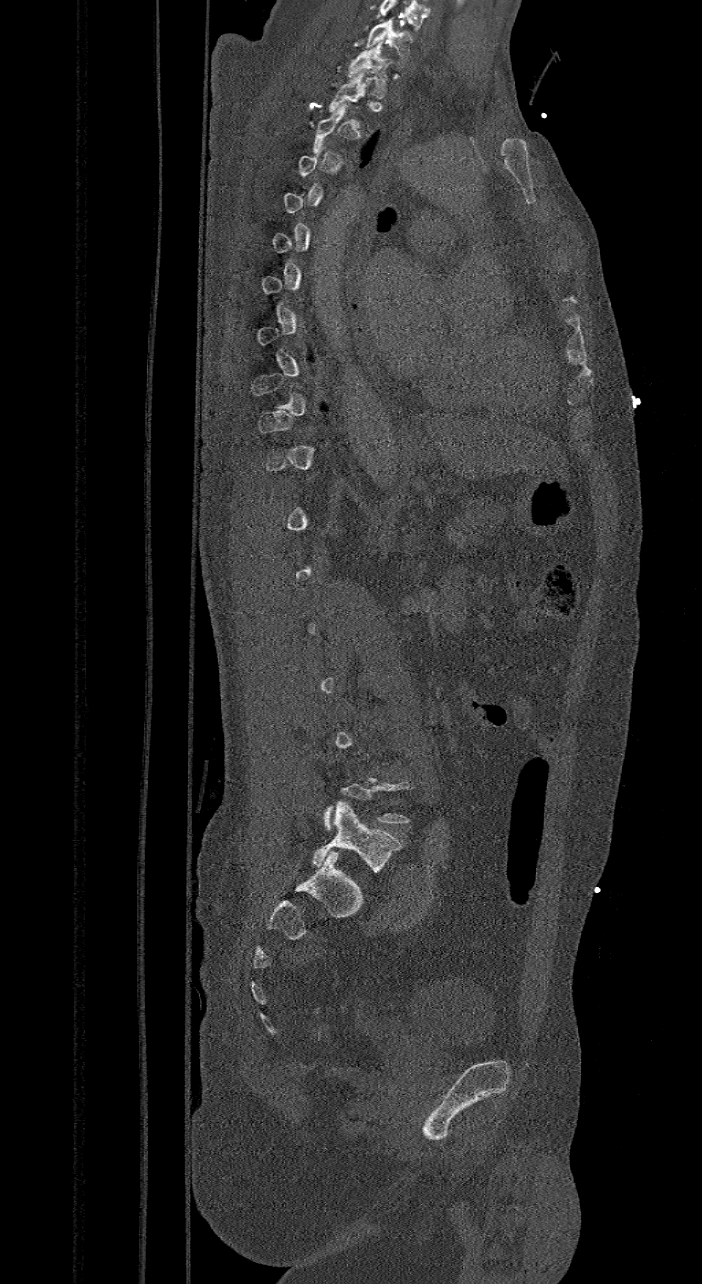
CT spine; sagittal reformat; 421 mm image width; W/L 1800/400 HU; 702x1284 px

Box edges are left/top/right/bottom in pixels. A vertebra is boxed only from the first to the last slice where its cross-section is at least a third of its largest; slices outside that range leave it without a box. In this scan, the topmost labeled vertebra is C7 and the lowest is L6. The labels name a sixth lumbar vertebra for this spine: L6, after L5. Vertebrae labeled: C7 at left=366, top=18, right=412, bottom=67, T1 at left=348, top=42, right=391, bottom=98, L6 at left=311, top=802, right=401, bottom=872.